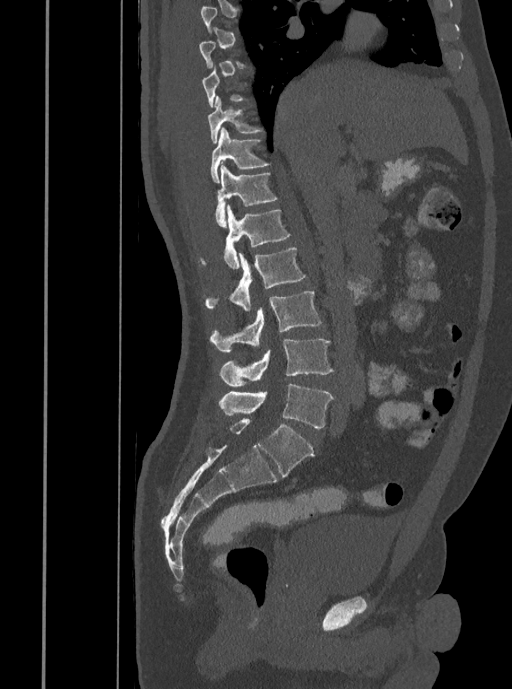
CT, spine · the image spans 408 mm across · sagittal view · Bone window (WL 400, WW 1800) · 512x689 px. Boxes are (x1, y1, x2, y2) in pixels. Each vertebra is boxed only on the slices from the first to the last where its cross-section reaches a third of its largest, so a slice outside that range leaves it unboxed. 8 vertebrae labeled — T10 at (208, 96, 262, 144); T11 at (211, 128, 270, 183); T12 at (215, 162, 277, 227); L1 at (201, 204, 290, 268); L2 at (204, 247, 305, 311); L3 at (209, 291, 321, 351); L4 at (219, 339, 333, 386); L5 at (219, 384, 333, 428).